CT spine — Sagittal slice 280/512 — image 345 mm wide — Bone window (WL 400, WW 1800) — 512x651 px — scan covers 7 annotated vertebrae
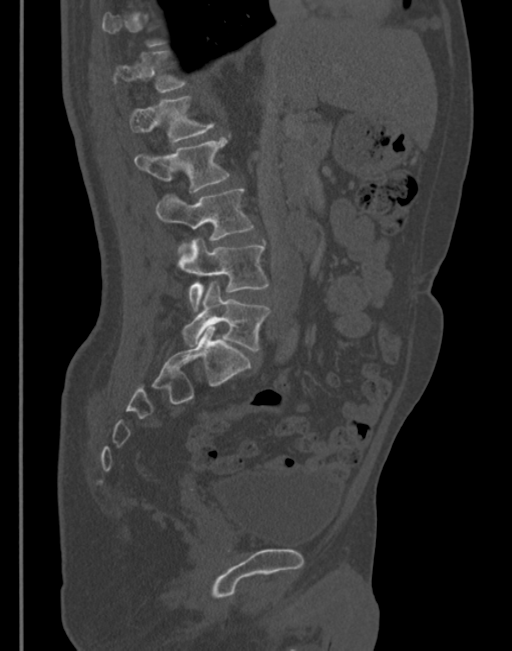

Box edges are left/top/right/bottom in pixels.
Each vertebra is boxed only on the slices from the first to the last where its cross-section reaches a third of its largest, so a slice outside that range leaves it unboxed.
T12: left=114, top=51, right=184, bottom=92
L1: left=130, top=96, right=212, bottom=143
L2: left=135, top=138, right=229, bottom=191
L3: left=156, top=189, right=253, bottom=250
L4: left=178, top=239, right=267, bottom=310
L5: left=182, top=281, right=269, bottom=350